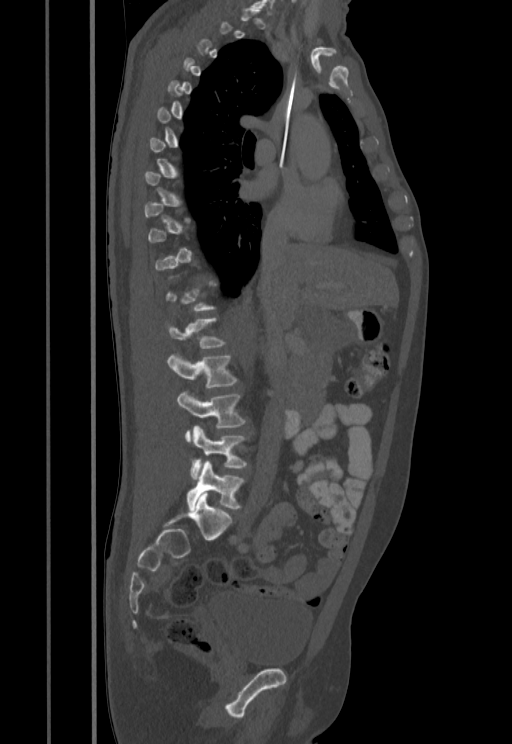 Spine CT — 455 mm image width — sagittal reformat — 512x744 px. Box edges are left/top/right/bottom in pixels.
A vertebra gets a box only on the slices from the first to the last where its cross-section is at least a third of its largest; on a slice outside that range it gets none.
| vertebra | x1 | y1 | x2 | y2 |
|---|---|---|---|---|
| L1 | 164 | 318 | 226 | 348 |
| L2 | 166 | 353 | 237 | 387 |
| L3 | 177 | 391 | 245 | 441 |
| L4 | 190 | 426 | 246 | 480 |
| L5 | 187 | 460 | 244 | 510 |